Spine computed tomography — sagittal view
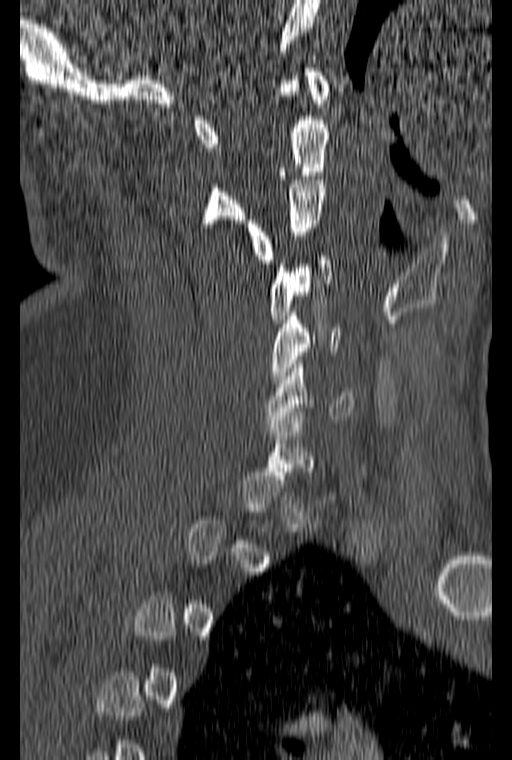
Columns x1, y1, x2, y2 give each box's top-left and bottom-right pixels.
Not every vertebra on this slice has a box: a vertebra is boxed only from the first to the last slice where its cross-section is at least a third of its largest, and this slice is outside that range for at least one of them.
| vertebra | x1 | y1 | x2 | y2 |
|---|---|---|---|---|
| C1 | 193 | 68 | 328 | 147 |
| C2 | 201 | 76 | 329 | 227 |
| C3 | 246 | 176 | 326 | 263 |
| C4 | 270 | 256 | 333 | 323 |
| C5 | 270 | 312 | 343 | 383 |
| C6 | 266 | 356 | 354 | 427 |